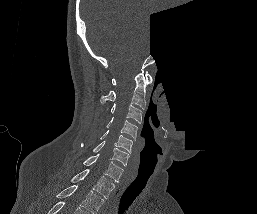

CT, spine · sagittal view · W/L 1800/400 HU · 257x214 px · image width 257 mm · a region of this slice is masked with a uniform fill

Boxes are (x1, y1, x2, y2) in pixels.
In this scan, the topmost labeled vertebra is C1 and the lowest is T1.
C1: (112, 71, 152, 85)
C2: (100, 69, 148, 109)
C3: (110, 103, 142, 123)
C4: (106, 117, 137, 138)
C5: (100, 130, 132, 153)
C6: (81, 141, 129, 166)
C7: (83, 154, 123, 182)
T1: (70, 169, 114, 198)